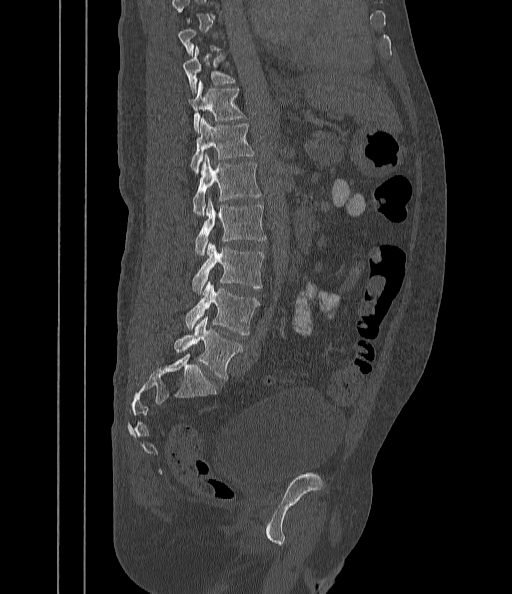 CT spine — sagittal view — image width 442 mm — bone window. Boxes: x1:y1:x2:y2 in pixels. A vertebra gets a box only on the slices from the first to the last where its cross-section is at least a third of its largest; on a slice outside that range it gets none. Vertebrae labeled: T10 at 183:47:235:93, T11 at 189:82:244:131, T12 at 190:118:254:173, L1 at 192:155:261:216, L2 at 195:198:265:254, L3 at 192:242:264:293, L4 at 184:281:260:334, L5 at 174:316:242:380.